CT spine. Sagittal slice 287/768. bone-window reconstruction. 768x1218 px
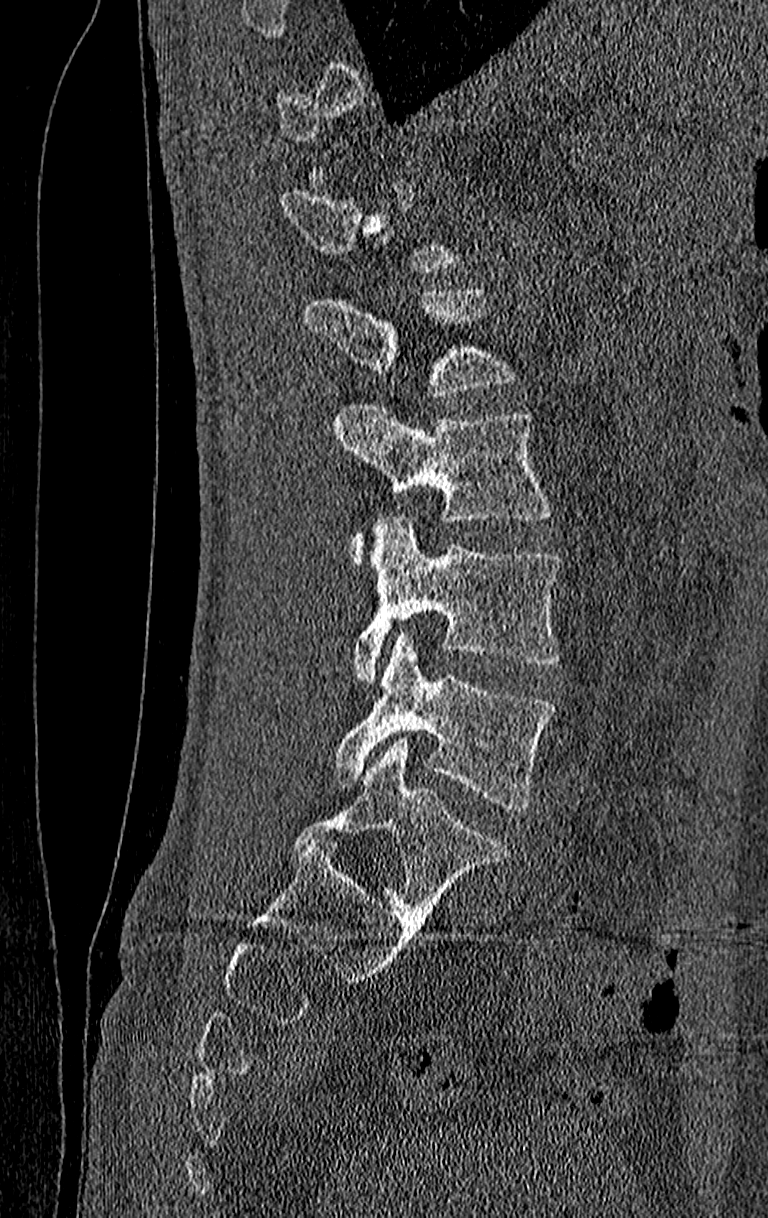 Columns x1, y1, x2, y2 give each box's top-left and bottom-right pixels.
Each vertebra is boxed only on the slices from the first to the last where its cross-section reaches a third of its largest, so a slice outside that range leaves it unboxed.
This scan's labels start at T11 at the top and end at L4 at the bottom.
| vertebra | x1 | y1 | x2 | y2 |
|---|---|---|---|---|
| L1 | 306 | 286 | 513 | 396 |
| L2 | 331 | 406 | 554 | 560 |
| L3 | 353 | 517 | 557 | 680 |
| L4 | 331 | 634 | 557 | 812 |